CT spine; sagittal plane, index 281; W/L 1800/400 HU
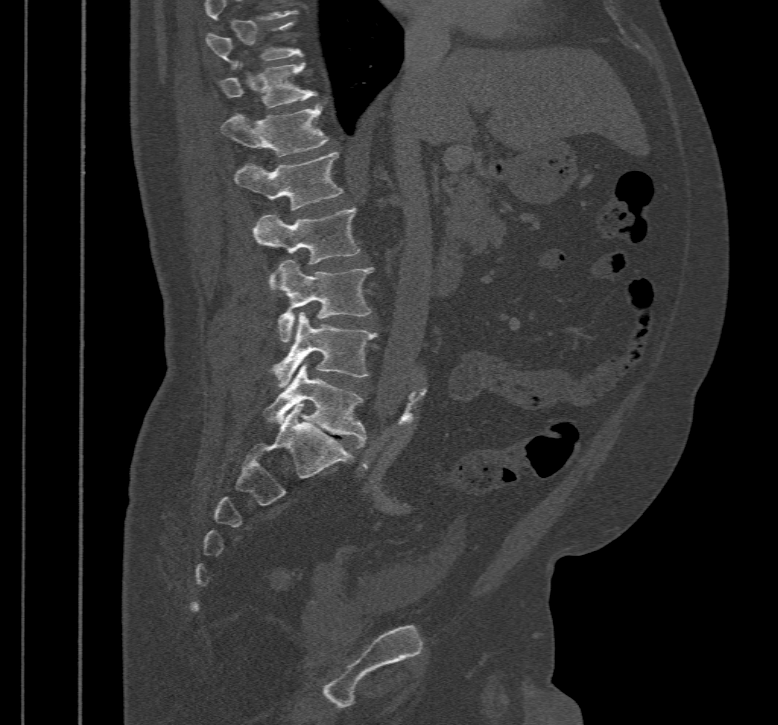
This scan's labels start at T10 at the top and end at L5 at the bottom.
<vertebrae><v name="T10" x1="207" y1="22" x2="302" y2="69"/><v name="T11" x1="220" y1="62" x2="317" y2="108"/><v name="T12" x1="220" y1="104" x2="329" y2="156"/><v name="L1" x1="233" y1="152" x2="344" y2="209"/><v name="L2" x1="252" y1="207" x2="361" y2="293"/><v name="L3" x1="275" y1="260" x2="373" y2="342"/><v name="L4" x1="271" y1="312" x2="378" y2="387"/><v name="L5" x1="263" y1="364" x2="365" y2="448"/></vertebrae>